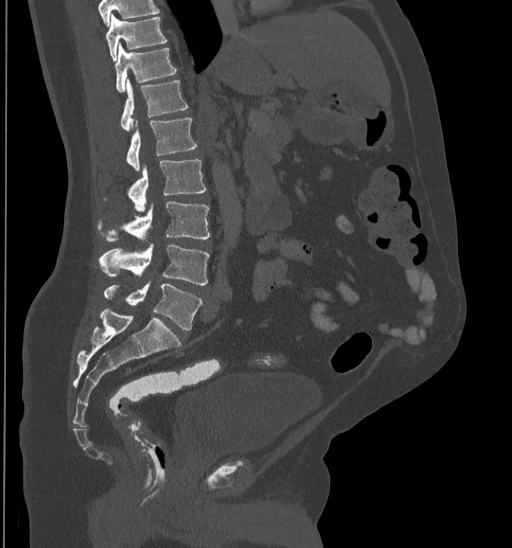 CT spine; sagittal view; W/L 1800/400 HU; 512x548 px. Boxes are (x1, y1, x2, y2) in pixels. Where the top of the scan cuts through a vertebra, that vertebra gets no label or box. Vertebrae labeled: T10 at (106, 15, 167, 60), T11 at (115, 43, 177, 92), T12 at (120, 78, 187, 130), L1 at (126, 119, 197, 171), L2 at (103, 159, 206, 211), L3 at (99, 201, 210, 242), L4 at (99, 244, 210, 285), L5 at (103, 281, 201, 331).